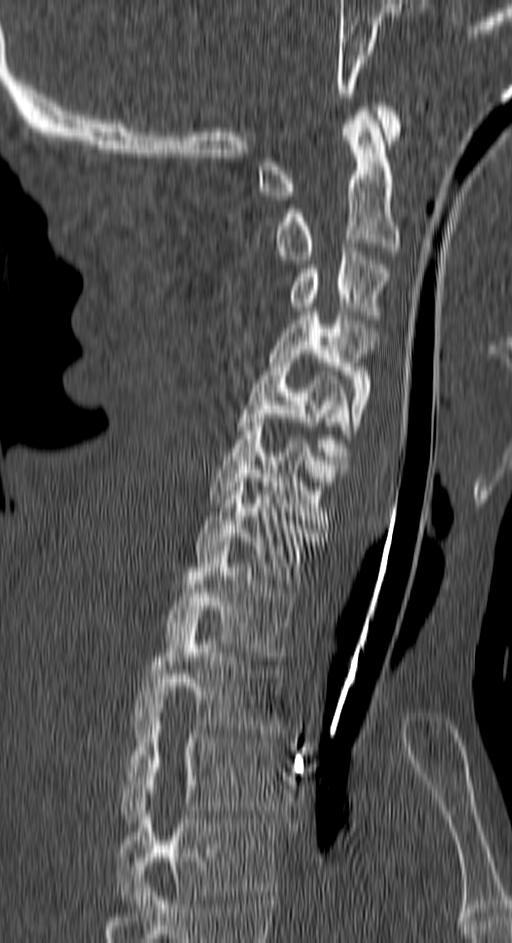
CT — sagittal view — Bone window (WL 400, WW 1800). Coordinates as <box>x1,y1,x2,y2</box>.
Labels in this scan begin with C1 at the top and end with T4 at the bottom.
Vertebra bounding boxes:
- C1: <box>257,102,400,200</box>
- C2: <box>274,111,400,259</box>
- C3: <box>288,247,389,319</box>
- C4: <box>270,311,379,434</box>
- C5: <box>235,354,349,468</box>
- C6: <box>209,418,345,524</box>
- C7: <box>196,474,321,588</box>
- T1: <box>165,546,295,660</box>
- T2: <box>134,619,282,733</box>
- T3: <box>121,717,277,822</box>
- T4: <box>117,794,277,904</box>